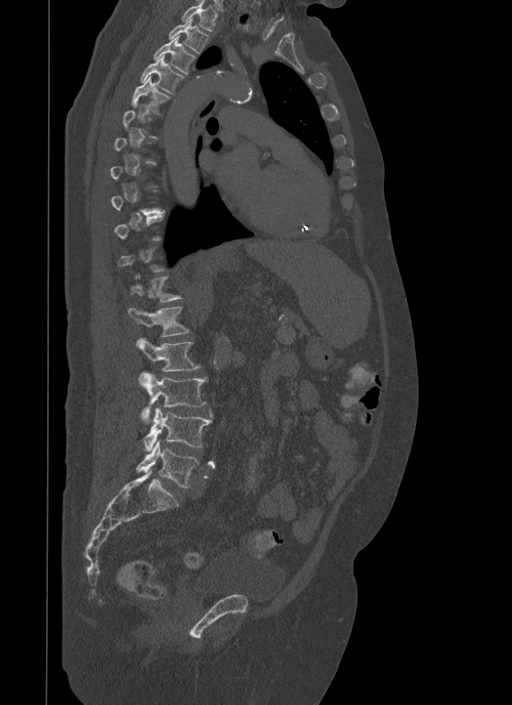

CT spine. sagittal view

Each box given as x1,y1,x2,y2.
A vertebra gets a box only on the slices from the first to the last where its cross-section is at least a third of its largest; on a slice outside that range it gets none.
| vertebra | x1 | y1 | x2 | y2 |
|---|---|---|---|---|
| L5 | 137 | 440 | 199 | 487 |
| L4 | 144 | 408 | 212 | 452 |
| L3 | 139 | 373 | 207 | 423 |
| L2 | 137 | 338 | 200 | 371 |
| L1 | 127 | 306 | 189 | 337 |
| T5 | 131 | 76 | 169 | 113 |
| T4 | 141 | 54 | 184 | 93 |
| T3 | 154 | 35 | 196 | 75 |
| T2 | 169 | 17 | 208 | 53 |
| T1 | 181 | 1 | 217 | 31 |